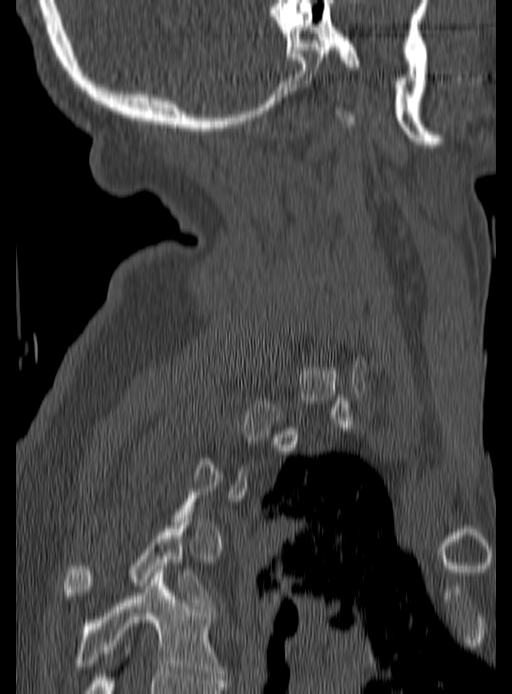

Computed tomography of the spine · the image is 190 mm wide · sagittal view · 512x694 px. Boxes are (x1, y1, x2, y2) in pixels. Not every vertebra on this slice has a box: a vertebra is boxed only from the first to the last slice where its cross-section is at least a third of its largest, and this slice is outside that range for at least one of them. The labeled vertebrae in this slice are: T4 at (63, 522, 213, 609), T5 at (76, 569, 224, 679).